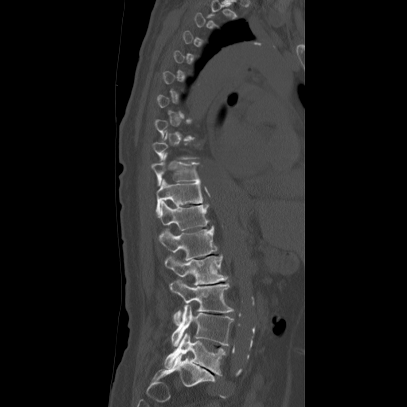

CT spine · sagittal reformat
A vertebra is boxed only from the first to the last slice where its cross-section is at least a third of its largest; slices outside that range leave it without a box.
<vertebrae><v name="L5" x1="164" y1="332" x2="224" y2="376"/><v name="L4" x1="169" y1="304" x2="233" y2="348"/><v name="L3" x1="169" y1="279" x2="232" y2="324"/><v name="L2" x1="164" y1="255" x2="227" y2="285"/><v name="L1" x1="158" y1="226" x2="217" y2="260"/><v name="T12" x1="160" y1="201" x2="209" y2="230"/><v name="T11" x1="155" y1="178" x2="202" y2="214"/><v name="T10" x1="149" y1="153" x2="200" y2="185"/></vertebrae>